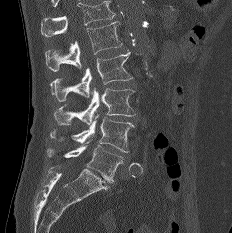 Spine CT — sagittal view — bone-window reconstruction
Each vertebra maps to its box as [x1, y1, x2, y2], the pixel coordinates of its top-left and bottom-right corners.
Vertebrae that run past the top of the scan are left unlabeled.
{"vertebrae":{"L1":[45,21,122,71],"L2":[50,50,134,101],"L3":[54,87,135,124],"L4":[50,115,134,153],"L5":[47,141,123,183]}}